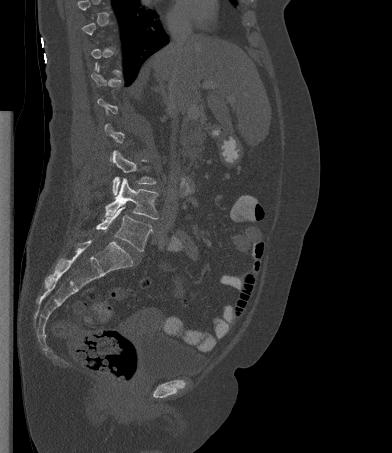
CT — sagittal view — 392 mm wide

Each vertebra is boxed only on the slices from the first to the last where its cross-section reaches a third of its largest, so a slice outside that range leaves it unboxed.
<vertebrae><v name="L3" x1="112" y1="150" x2="156" y2="195"/><v name="L4" x1="105" y1="178" x2="158" y2="219"/><v name="L5" x1="96" y1="206" x2="152" y2="251"/></vertebrae>